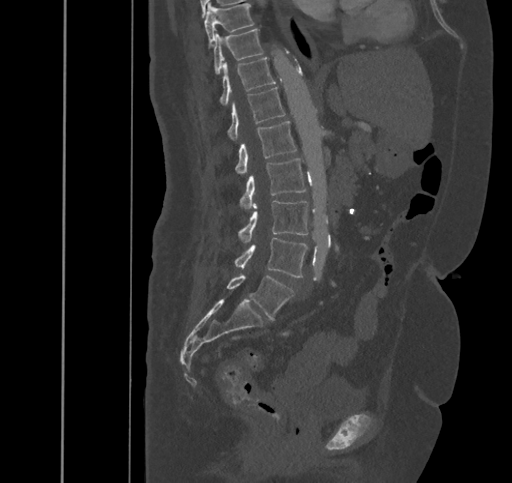

Spine CT; sagittal view

Each vertebra maps to its box as [x1, y1, x2, y2], the pixel coordinates of its top-left and bottom-right corners.
{"vertebrae":{"T9":[204,2,253,45],"T10":[213,28,262,75],"T11":[220,57,275,106],"T12":[228,87,285,140],"L1":[235,121,297,173],"L2":[239,158,306,209],"L3":[238,201,307,242],"L4":[235,237,307,277],"L5":[227,274,293,319]}}